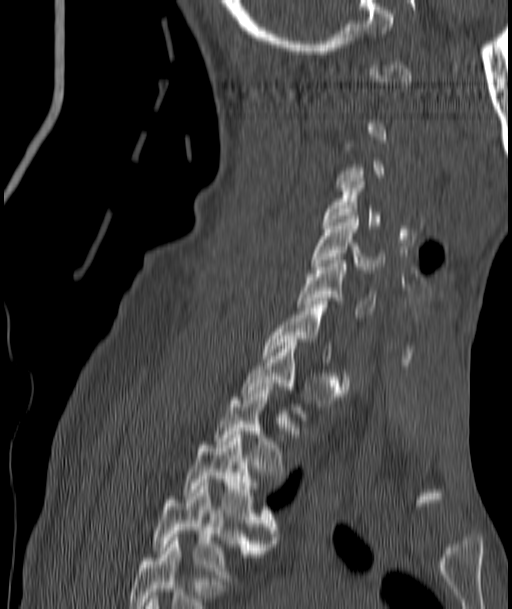 CT · sagittal reformat · Bone window (WL 400, WW 1800)

Not every vertebra on this slice has a box: a vertebra is boxed only from the first to the last slice where its cross-section is at least a third of its largest, and this slice is outside that range for at least one of them.
<vertebrae><v name="C4" x1="324" y1="178" x2="380" y2="228"/><v name="C5" x1="313" y1="216" x2="383" y2="273"/><v name="C6" x1="297" y1="260" x2="376" y2="317"/><v name="C7" x1="264" y1="301" x2="331" y2="362"/><v name="T2" x1="214" y1="387" x2="285" y2="478"/><v name="T3" x1="184" y1="431" x2="276" y2="543"/><v name="T4" x1="151" y1="486" x2="265" y2="581"/></vertebrae>